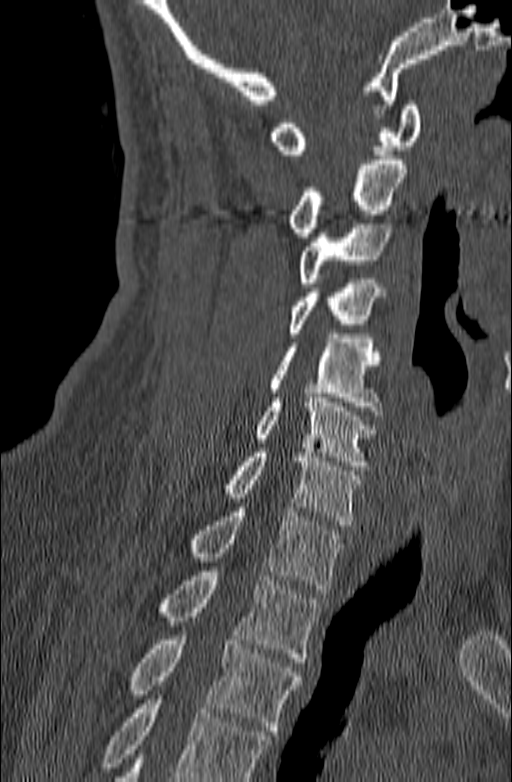

Spine computed tomography; sagittal view; 512x782 px. Each box given as x1,y1,x2,y2.
No box is given to a vertebra that the bottom edge of the scan cuts off.
| vertebra | x1 | y1 | x2 | y2 |
|---|---|---|---|---|
| C1 | 268 | 101 | 421 | 154 |
| C2 | 287 | 160 | 406 | 237 |
| C3 | 298 | 219 | 392 | 287 |
| C4 | 287 | 279 | 383 | 337 |
| C5 | 268 | 334 | 383 | 415 |
| C6 | 254 | 393 | 377 | 470 |
| C7 | 221 | 448 | 362 | 525 |
| T1 | 188 | 507 | 345 | 593 |
| T2 | 157 | 571 | 319 | 662 |
| T3 | 129 | 631 | 302 | 735 |